CT spine · sagittal view · bone-window reconstruction · the image is 340 mm wide · 512x705 px · scan covers 8 annotated vertebrae
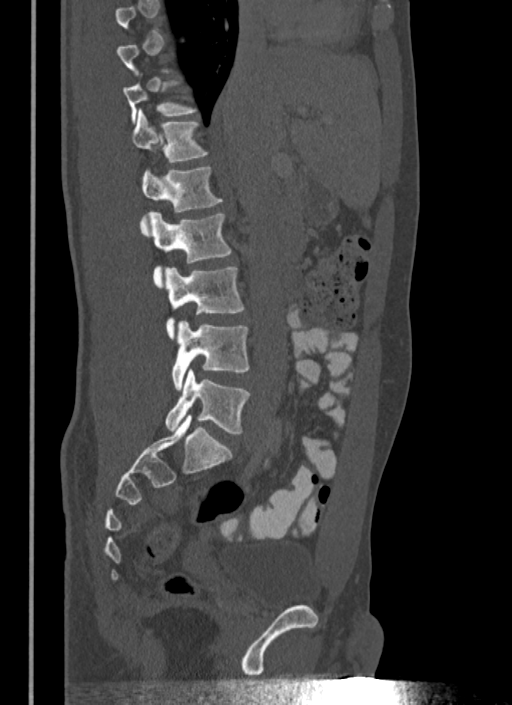
A vertebra is boxed only from the first to the last slice where its cross-section is at least a third of its largest; slices outside that range leave it without a box.
<vertebrae><v name="T11" x1="123" y1="81" x2="196" y2="122"/><v name="T12" x1="131" y1="110" x2="208" y2="162"/><v name="L1" x1="141" y1="167" x2="222" y2="211"/><v name="L2" x1="149" y1="212" x2="231" y2="287"/><v name="L3" x1="165" y1="267" x2="244" y2="339"/><v name="L4" x1="171" y1="321" x2="249" y2="391"/><v name="L5" x1="165" y1="369" x2="250" y2="434"/></vertebrae>